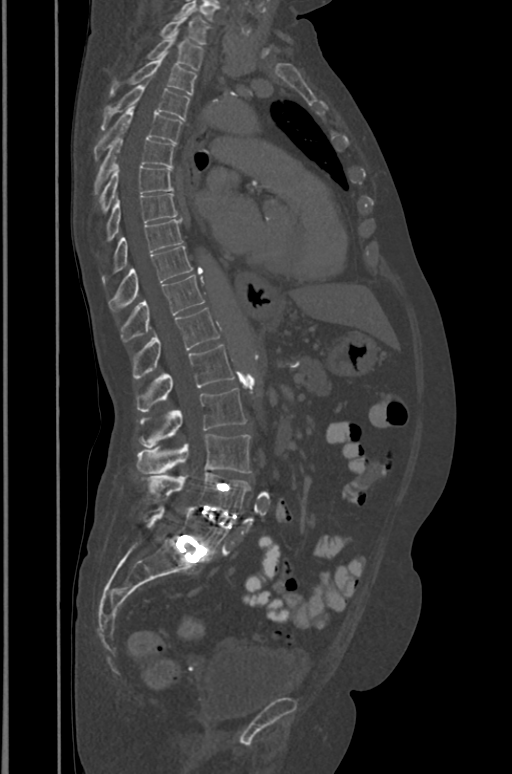
Spine CT; sagittal view; image width 391 mm; bone window

Columns x1, y1, x2, y2 give each box's top-left and bottom-right pixels.
| vertebra | x1 | y1 | x2 | y2 |
|---|---|---|---|---|
| L5 | 143 | 505 | 228 | 556 |
| L4 | 141 | 472 | 250 | 513 |
| L3 | 136 | 434 | 250 | 474 |
| L2 | 140 | 389 | 245 | 448 |
| L1 | 137 | 344 | 233 | 411 |
| T12 | 132 | 307 | 219 | 379 |
| T11 | 120 | 275 | 205 | 342 |
| T10 | 109 | 245 | 193 | 310 |
| T9 | 115 | 219 | 182 | 271 |
| T8 | 107 | 193 | 177 | 238 |
| T7 | 101 | 165 | 173 | 211 |
| T6 | 94 | 135 | 174 | 192 |
| T5 | 94 | 107 | 181 | 158 |
| T4 | 102 | 86 | 189 | 129 |
| T3 | 110 | 56 | 197 | 97 |
| T2 | 145 | 35 | 203 | 70 |
| T1 | 158 | 12 | 209 | 44 |